Computed tomography of the spine. sagittal plane, index 341. bone-window reconstruction. 512x1010 px
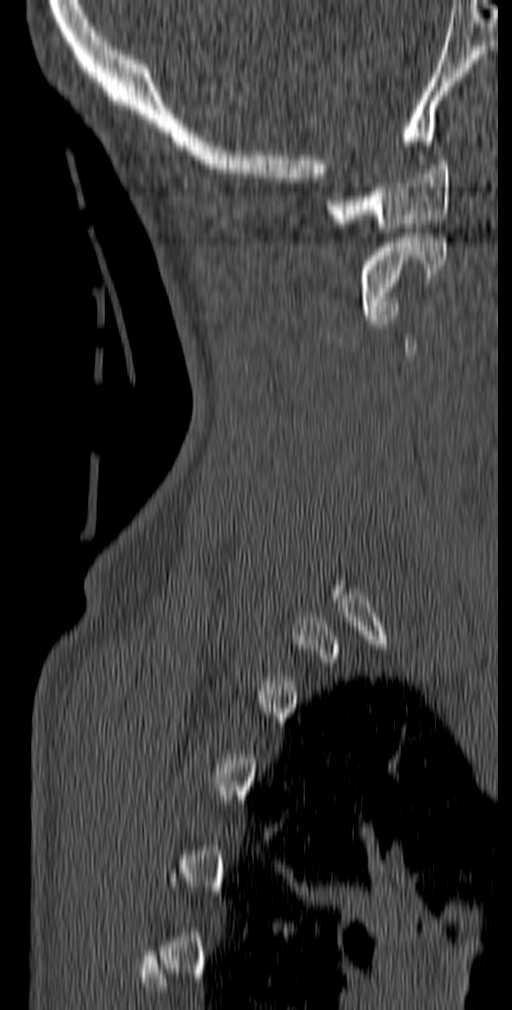
Bounding boxes as [x1, y1, x2, y2] in pixel coordinates. Each vertebra is boxed only on the slices from the first to the last where its cross-section reaches a third of its largest, so a slice outside that range leaves it unboxed. Vertebrae labeled: C1 at [326, 160, 450, 232], C2 at [360, 233, 447, 319].